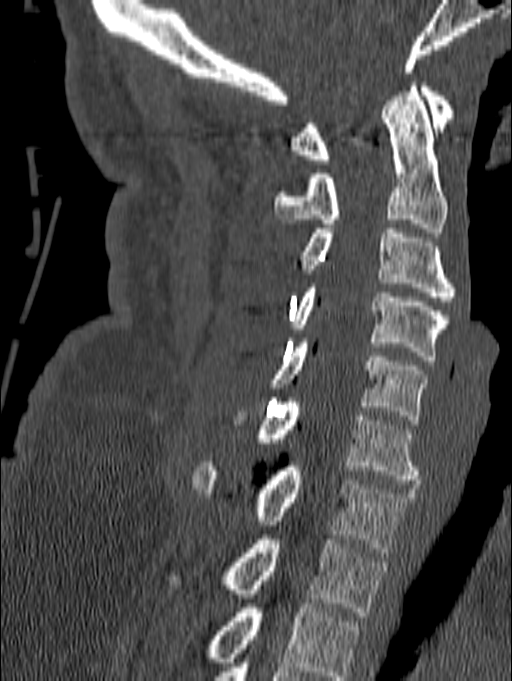

Spine CT · sagittal view

Boxes below are [x1, y1, x2, y2] in pixels.
This scan's labels start at C1 at the top and end at T1 at the bottom.
{"vertebrae":{"C1":[290,82,454,164],"C2":[274,82,447,232],"C3":[300,229,456,301],"C4":[290,283,447,360],"C5":[268,338,428,424],"C6":[235,398,421,484],"C7":[192,462,414,557],"T1":[170,535,385,616]}}